CT. sagittal view. 576x576 px
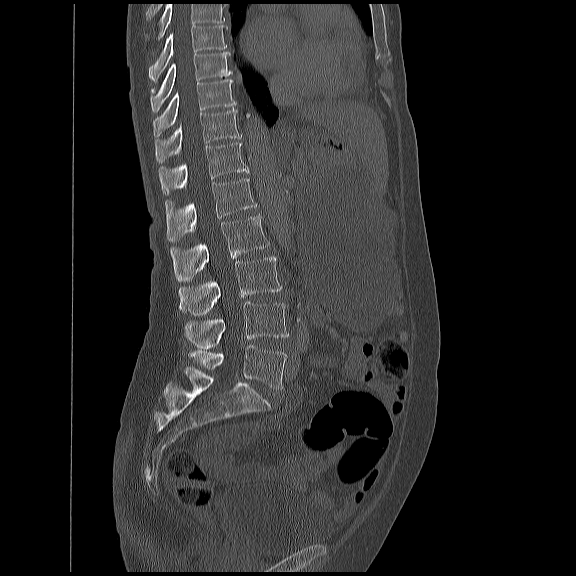
Boxes: x1 y1 x2 y2 (pixel coords, space-separated). No box is given to a vertebra that the top edge of the scan cuts off. Vertebrae labeled: L5 at 188 345 285 388, L4 at 184 301 289 348, L3 at 178 255 281 316, L2 at 170 213 267 281, L1 at 165 177 256 240, T12 at 158 142 248 193, T11 at 154 107 240 162, T10 at 152 78 235 138, T9 at 149 51 231 111, T8 at 148 24 226 81.